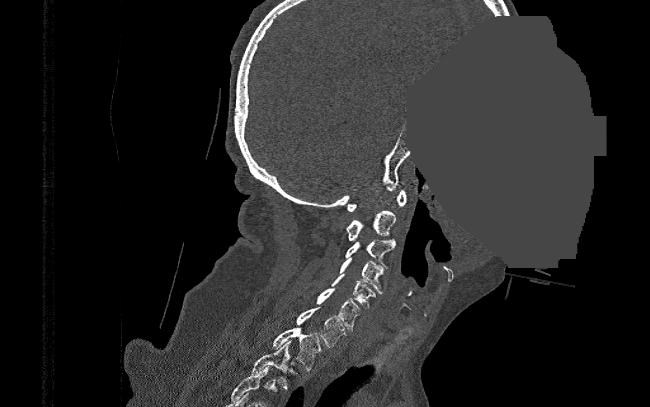 Computed tomography of the spine. sagittal view. 650x407 px. 390 mm wide. an area of the scan was removed and filled with constant pixels. Each box given as x1,y1,x2,y2.
The highest labeled vertebra in this scan is C1; the lowest is T2.
| vertebra | x1 | y1 | x2 | y2 |
|---|---|---|---|---|
| C1 | 347 | 189 | 407 | 211 |
| C2 | 347 | 211 | 395 | 243 |
| C3 | 345 | 240 | 395 | 268 |
| C4 | 340 | 259 | 384 | 293 |
| C5 | 331 | 274 | 375 | 308 |
| C6 | 316 | 288 | 361 | 331 |
| C7 | 297 | 307 | 346 | 347 |
| T1 | 272 | 328 | 321 | 371 |
| T2 | 251 | 341 | 297 | 388 |